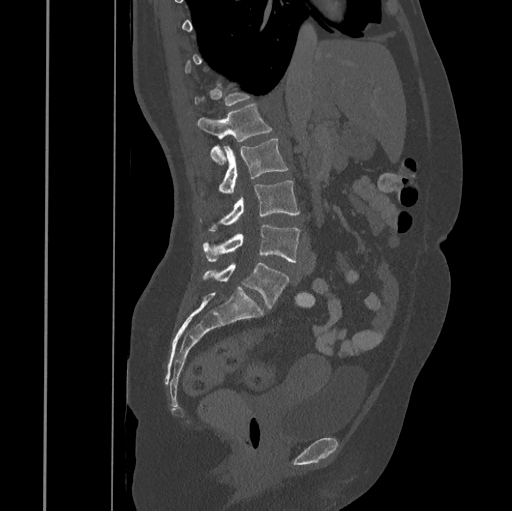 CT · sagittal view · Bone window (WL 400, WW 1800) · 512x511 px · 445 mm across the image
Box edges are left/top/right/bottom in pixels. Each vertebra is boxed only on the slices from the first to the last where its cross-section reaches a third of its largest, so a slice outside that range leaves it unboxed. 5 vertebrae labeled — L5 at left=202, top=262, right=289, bottom=309; L4 at left=202, top=224, right=299, bottom=262; L3 at left=200, top=180, right=299, bottom=231; L2 at left=217, top=139, right=288, bottom=194; L1 at left=198, top=104, right=272, bottom=164.